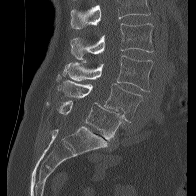 CT, spine · sagittal reformat
A vertebra cut off by the top edge of the scan is not labeled and has no box.
<vertebrae><v name="L5" x1="59" y1="101" x2="123" y2="139"/><v name="L4" x1="56" y1="80" x2="142" y2="122"/><v name="L3" x1="56" y1="55" x2="153" y2="91"/><v name="L2" x1="70" y1="23" x2="153" y2="59"/></vertebrae>